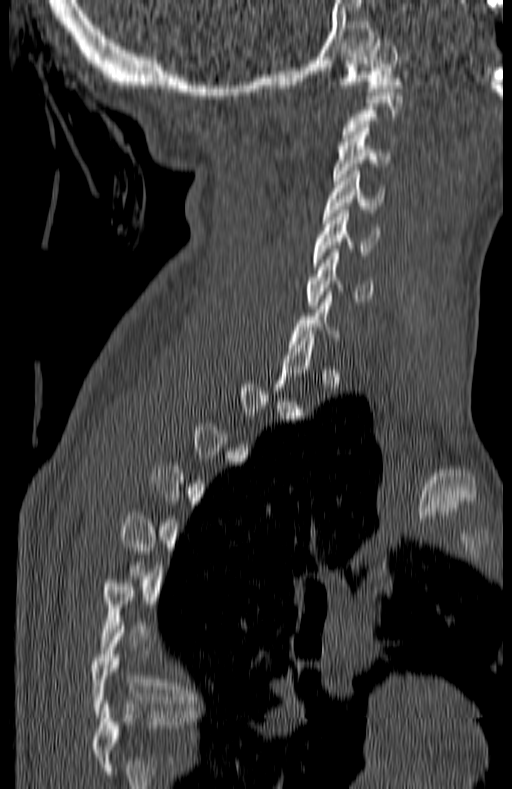
Spine computed tomography; sagittal view; Bone window (WL 400, WW 1800); 512x789 px
Each row gives a vertebra's box as x1, y1, x2, y2 in pixels: top-left corner, then bottom-right corner.
Each vertebra is boxed only on the slices from the first to the last where its cross-section reaches a third of its largest, so a slice outside that range leaves it unboxed.
This scan's labels start at C1 at the top and end at T7 at the bottom.
| vertebra | x1 | y1 | x2 | y2 |
|---|---|---|---|---|
| C1 | 339 | 39 | 401 | 91 |
| C3 | 332 | 128 | 390 | 184 |
| C4 | 322 | 171 | 385 | 219 |
| C5 | 314 | 210 | 378 | 269 |
| C6 | 308 | 249 | 373 | 308 |
| T7 | 92 | 626 | 194 | 714 |